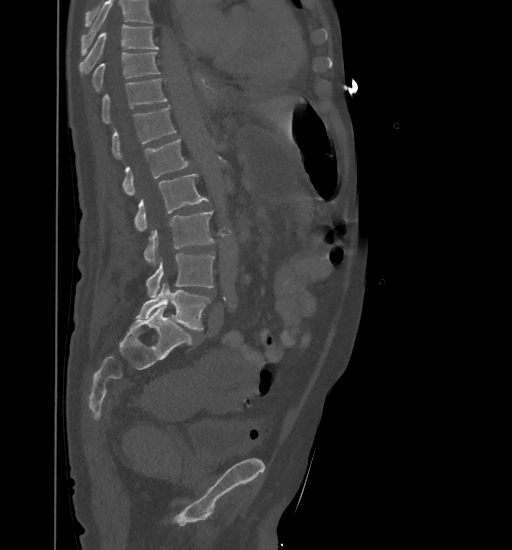

Spine computed tomography; sagittal reformat; Bone window (WL 400, WW 1800); 461 mm image width; 512x550 px
Box values are [left, top, right, bottom] in pixels.
A vertebra cut off by the top edge of the scan is not labeled and has no box.
{"vertebrae":{"T9":[79,25,158,74],"T10":[92,52,160,91],"T11":[102,78,167,123],"T12":[112,106,175,158],"L1":[123,139,189,196],"L2":[133,173,208,231],"L3":[144,211,214,266],"L4":[146,253,214,297],"L5":[136,283,210,330]}}